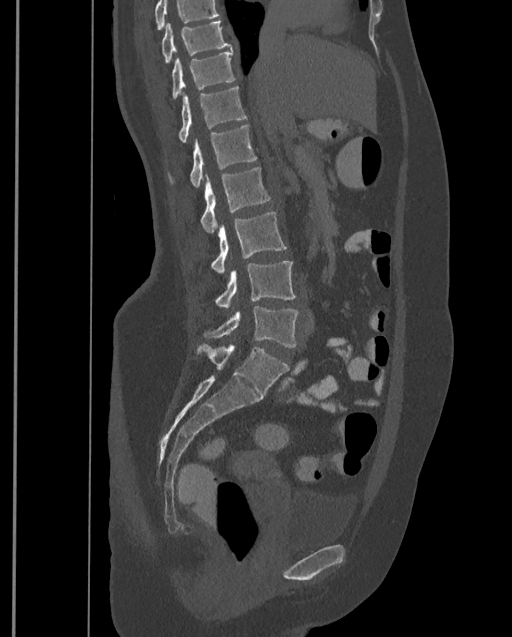 Spine CT. sagittal reformat. Coordinates as <box>x1,y1,x2,y2</box>. A vertebra cut off by the top edge of the scan is not labeled and has no box. The highest labeled vertebra in this scan is T9; the lowest is L4. The labeled vertebrae in this slice are: T9 at <box>162,21,230,63</box>, T10 at <box>172,50,235,99</box>, T11 at <box>178,85,247,142</box>, T12 at <box>167,125,257,187</box>, L1 at <box>201,166,270,232</box>, L2 at <box>211,211,286,274</box>, L3 at <box>215,260,295,309</box>, L4 at <box>204,306,298,347</box>.